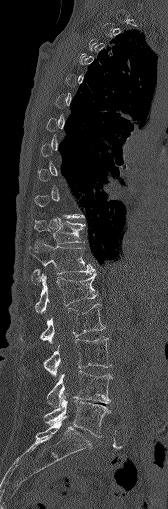
CT, spine · sagittal reformat · bone window · 168x509 px · the image is 168 mm wide

Each box given as x1,y1,x2,y2.
Each vertebra is boxed only on the slices from the first to the last where its cross-section reaches a third of its largest, so a slice outside that range leaves it unboxed.
T11: x1=34, y1=220, x2=85, y2=244
T12: x1=28, y1=240, x2=94, y2=283
L1: x1=35, y1=273, x2=97, y2=312
L2: x1=41, y1=303, x2=104, y2=344
L3: x1=44, y1=336, x2=111, y2=376
L4: x1=47, y1=371, x2=112, y2=408
L5: x1=45, y1=395, x2=109, y2=436